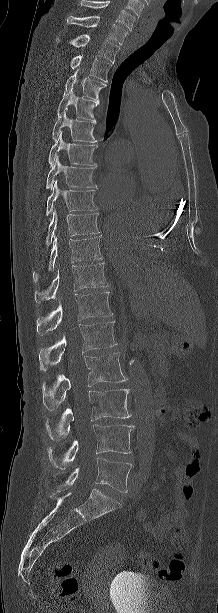
Computed tomography of the spine. sagittal view. Each box given as x1,y1,x2,y2.
In this scan, the topmost labeled vertebra is C7 and the lowest is L5.
| vertebra | x1 | y1 | x2 | y2 |
|---|---|---|---|---|
| L5 | 56 | 458 | 132 | 492 |
| L4 | 47 | 424 | 134 | 469 |
| L3 | 45 | 389 | 130 | 442 |
| L2 | 42 | 353 | 127 | 410 |
| L1 | 39 | 320 | 116 | 371 |
| T12 | 36 | 292 | 112 | 335 |
| T11 | 34 | 262 | 107 | 303 |
| T10 | 33 | 235 | 102 | 282 |
| T9 | 46 | 210 | 99 | 246 |
| T8 | 46 | 180 | 97 | 215 |
| T7 | 46 | 156 | 97 | 189 |
| T6 | 48 | 132 | 97 | 167 |
| T5 | 52 | 111 | 97 | 142 |
| T4 | 57 | 89 | 99 | 120 |
| T3 | 63 | 69 | 106 | 98 |
| T2 | 70 | 55 | 111 | 81 |
| T1 | 56 | 34 | 119 | 63 |
| C7 | 67 | 16 | 127 | 44 |